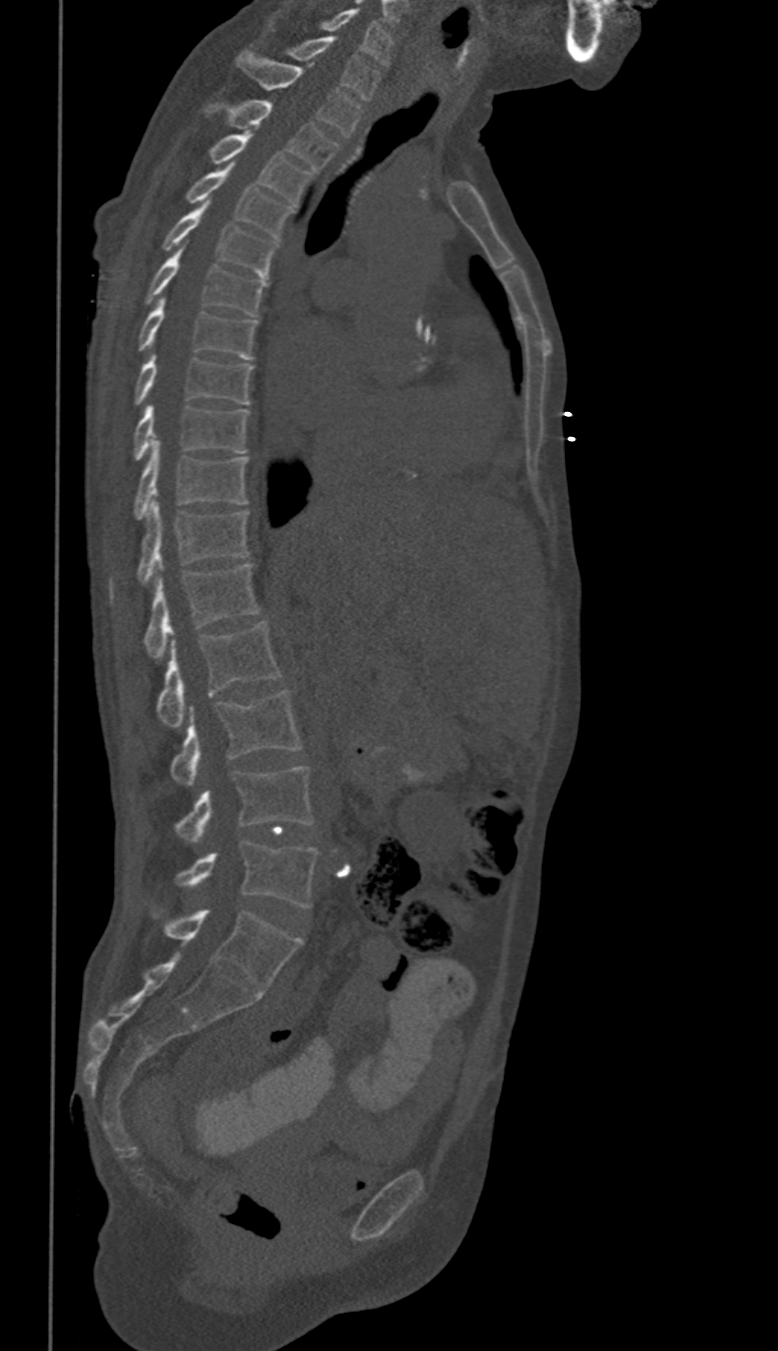

CT; sagittal view; 778x1351 px. Each row gives a vertebra's box as x1, y1, x2, y2 in pixels: top-left corner, then bottom-right corner.
These labels give this spine no T12: after T11 the next vertebra is L1.
| vertebra | x1 | y1 | x2 | y2 |
|---|---|---|---|---|
| L5 | 178 | 840 | 318 | 908 |
| L4 | 175 | 767 | 312 | 842 |
| L3 | 170 | 692 | 301 | 784 |
| L2 | 158 | 620 | 282 | 726 |
| L1 | 144 | 563 | 259 | 659 |
| T11 | 137 | 500 | 248 | 584 |
| T10 | 134 | 440 | 248 | 519 |
| T9 | 134 | 405 | 248 | 459 |
| T8 | 135 | 352 | 253 | 404 |
| T7 | 140 | 298 | 256 | 359 |
| T6 | 146 | 247 | 268 | 315 |
| T5 | 163 | 200 | 277 | 277 |
| T4 | 187 | 163 | 294 | 239 |
| T3 | 208 | 132 | 312 | 204 |
| T2 | 207 | 100 | 339 | 171 |
| T1 | 235 | 52 | 361 | 137 |
| C7 | 289 | 36 | 380 | 99 |
| C6 | 322 | 8 | 392 | 64 |